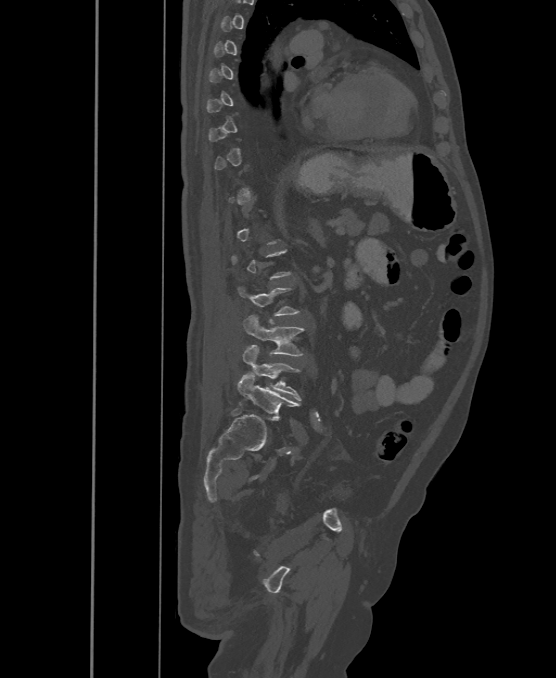

CT, spine; sagittal view; the image spans 500 mm across. Each row gives a vertebra's box as x1, y1, x2, y2 in pixels: top-left corner, then bottom-right corner.
A vertebra gets a box only on the slices from the first to the last where its cross-section is at least a third of its largest; on a slice outside that range it gets none.
The labels name a sixth lumbar vertebra for this spine: L6, after L5.
| vertebra | x1 | y1 | x2 | y2 |
|---|---|---|---|---|
| L4 | 243 | 315 | 304 | 356 |
| L5 | 242 | 346 | 301 | 400 |
| L6 | 238 | 375 | 298 | 419 |